CT · sagittal reformat · 512x550 px · 9 vertebrae labeled in this scan
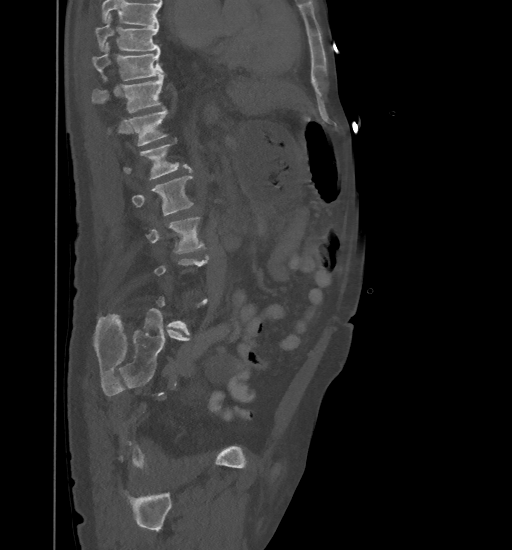
Each box given as x1,y1,x2,y2.
Each vertebra is boxed only on the slices from the first to the last where its cross-section reaches a third of its largest, so a slice outside that range leaves it unboxed.
A vertebra cut off by the top edge of the scan is not labeled and has no box.
| vertebra | x1 | y1 | x2 | y2 |
|---|---|---|---|---|
| T9 | 95 | 14 | 159 | 50 |
| T10 | 92 | 42 | 163 | 81 |
| T11 | 91 | 74 | 163 | 112 |
| T12 | 129 | 109 | 167 | 146 |
| L1 | 124 | 145 | 192 | 179 |
| L2 | 132 | 176 | 193 | 216 |
| L3 | 146 | 217 | 203 | 252 |